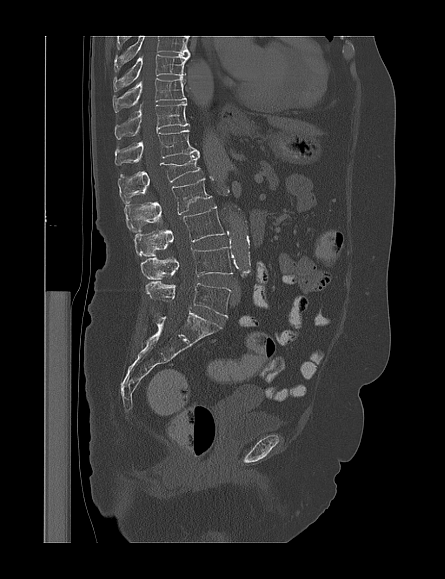

CT spine — sagittal view — bone window — 445x579 px
Boxes: x1 y1 x2 y2 (pixel coords, space-separated).
In this scan, the topmost labeled vertebra is T9 and the lowest is L5.
L5: 145 281 230 317
L4: 141 247 232 279
L3: 134 206 224 256
L2: 125 178 211 231
L1: 118 155 201 203
T12: 115 130 198 165
T11: 114 102 189 139
T10: 113 78 186 112
T9: 113 54 189 91